Spine computed tomography — sagittal reformat — bone-window reconstruction — 512x747 px
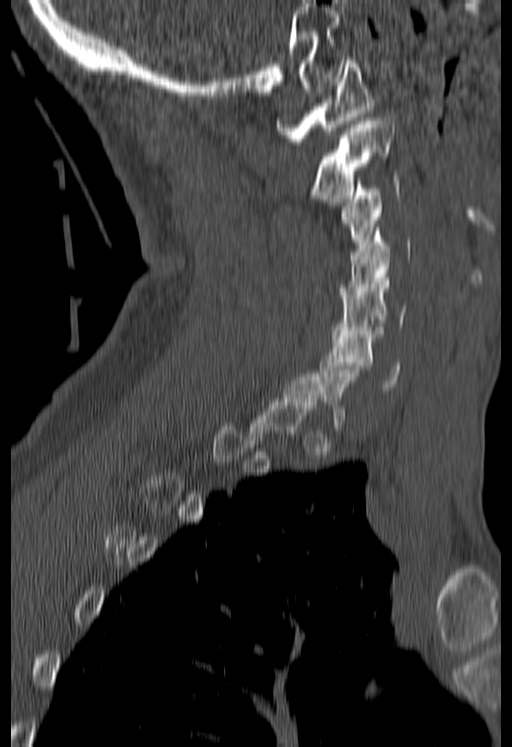

Coordinates as <box>x1,y1,x2,y2</box>.
Not every vertebra on this slice has a box: a vertebra is boxed only from the first to the last slice where its cross-section is at least a third of its largest, and this slice is outside that range for at least one of them.
Vertebra bounding boxes:
- C6: <box>319,327,400,390</box>
- C5: <box>331,274,407,337</box>
- C4: <box>339,228,411,298</box>
- C3: <box>342,174,398,251</box>
- C2: <box>311,117,395,205</box>
- C1: <box>276,57,373,145</box>